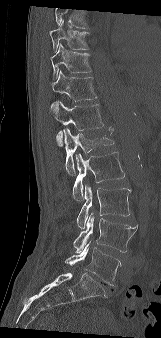

CT. sagittal view. Boxes: x1 y1 x2 y2 (pixel coords, space-separated).
A vertebra cut off by the top edge of the scan is not labeled and has no box.
T9: 49 20 88 52
T10: 50 43 91 78
T11: 51 70 97 108
T12: 50 101 104 146
L1: 63 127 114 174
L2: 72 152 124 200
L3: 77 184 131 230
L4: 73 212 138 253
L5: 65 241 120 285